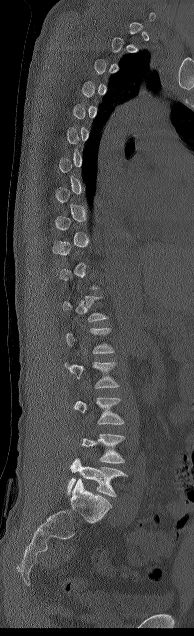 Spine CT. sagittal view. W/L 1800/400 HU. the image spans 194 mm across. 194x636 px
Not every vertebra on this slice has a box: a vertebra is boxed only from the first to the last slice where its cross-section is at least a third of its largest, and this slice is outside that range for at least one of them.
<vertebrae><v name="L3" x1="74" y1="397" x2="124" y2="424"/><v name="L4" x1="81" y1="434" x2="124" y2="463"/><v name="L5" x1="67" y1="458" x2="128" y2="496"/></vertebrae>